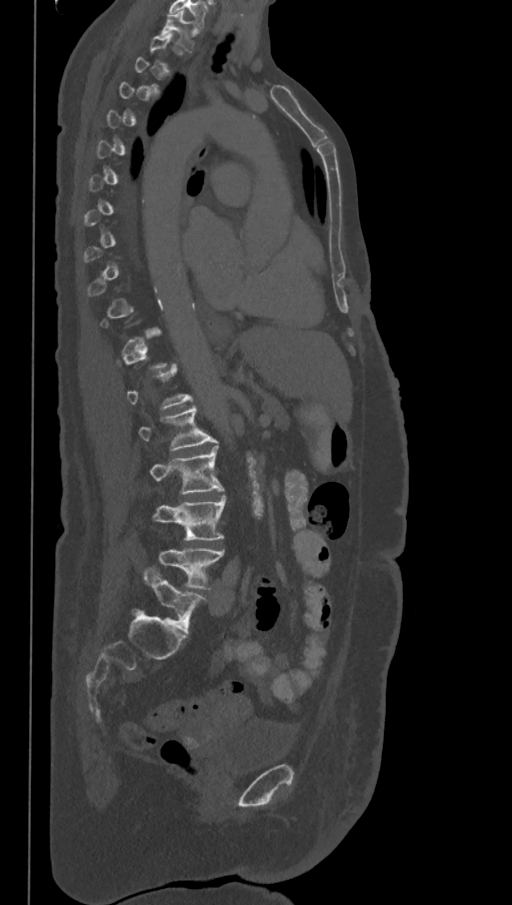 Spine computed tomography — sagittal view
Box edges are left/top/right/bottom in pixels. A vertebra is boxed only from the first to the last slice where its cross-section is at least a third of its largest; slices outside that range leave it without a box. The labels name a sixth lumbar vertebra for this spine: L6, after L5. Vertebrae labeled: T1 at left=160, top=11, right=194, bottom=48, L2 at left=138, top=406, right=216, bottom=450, L3 at left=150, top=446, right=223, bottom=494, L4 at left=153, top=496, right=226, bottom=540, L5 at left=158, top=550, right=224, bottom=589, L6 at left=143, top=567, right=206, bottom=633.